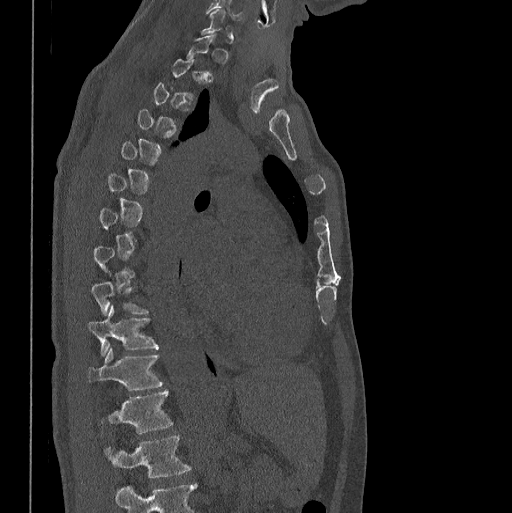 Spine computed tomography; sagittal reformat
A vertebra gets a box only on the slices from the first to the last where its cross-section is at least a third of its largest; on a slice outside that range it gets none.
This scan's labels start at C7 at the top and end at L1 at the bottom.
<vertebrae><v name="L1" x1="105" y1="435" x2="189" y2="477"/><v name="T12" x1="108" y1="389" x2="171" y2="433"/><v name="T11" x1="89" y1="348" x2="162" y2="389"/><v name="T10" x1="87" y1="306" x2="158" y2="354"/></vertebrae>